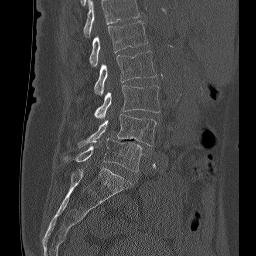

CT; 256 mm image width; sagittal view
Boxes below are [x1, y1, x2, y2] in pixels.
Labels in this scan begin with L1 at the top and end with L5 at the bottom.
{"vertebrae":{"L1":[89,21,148,66],"L2":[94,51,156,95],"L3":[94,85,159,119],"L4":[78,114,156,146],"L5":[75,138,142,171]}}